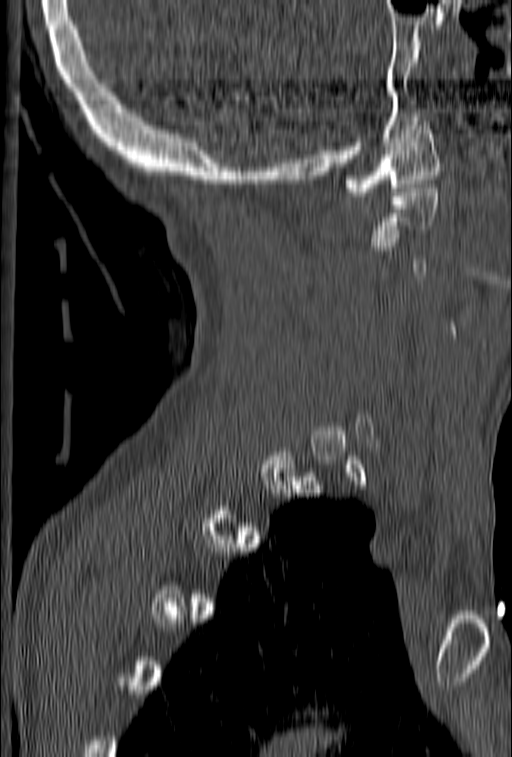

CT, spine · sagittal reformat · Bone window (WL 400, WW 1800)
Box edges are left/top/right/bottom in pixels. A vertebra is boxed only from the first to the last slice where its cross-section is at least a third of its largest; slices outside that range leave it without a box. Vertebrae labeled: C2 at left=369, top=184, right=439, bottom=246, C1 at left=342, top=121, right=441, bottom=196.